Spine CT · sagittal reformat · the image spans 222 mm across · scan covers 17 annotated vertebrae
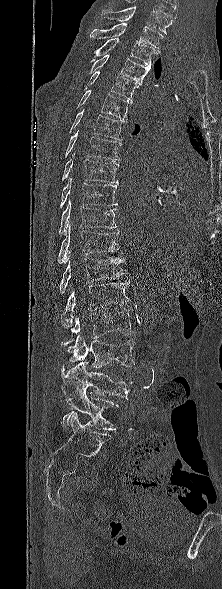
This scan's labels start at T1 at the top and end at L5 at the bottom.
<vertebrae><v name="L5" x1="57" y1="389" x2="118" y2="430"/><v name="L4" x1="60" y1="361" x2="133" y2="400"/><v name="L3" x1="67" y1="334" x2="134" y2="367"/><v name="L2" x1="60" y1="309" x2="133" y2="346"/><v name="L1" x1="63" y1="281" x2="130" y2="327"/><v name="T12" x1="60" y1="251" x2="128" y2="294"/><v name="T11" x1="58" y1="223" x2="119" y2="263"/><v name="T10" x1="58" y1="199" x2="117" y2="235"/><v name="T9" x1="60" y1="177" x2="118" y2="207"/><v name="T8" x1="62" y1="152" x2="118" y2="183"/><v name="T7" x1="64" y1="130" x2="121" y2="160"/><v name="T6" x1="69" y1="111" x2="124" y2="140"/><v name="T5" x1="73" y1="90" x2="131" y2="121"/><v name="T4" x1="83" y1="71" x2="138" y2="102"/><v name="T3" x1="89" y1="54" x2="150" y2="84"/><v name="T2" x1="89" y1="38" x2="157" y2="65"/><v name="T1" x1="90" y1="23" x2="162" y2="52"/></vertebrae>